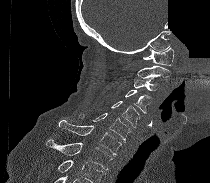
Computed tomography of the spine · sagittal view · 210 mm image width · Bone window (WL 400, WW 1800) · 210x183 px · part of the scan has been removed (filled with constant black)
No box is given to a vertebra that the bottom edge of the scan cuts off.
<vertebrae><v name="C1" x1="143" y1="47" x2="174" y2="65"/><v name="C2" x1="137" y1="65" x2="170" y2="78"/><v name="C3" x1="133" y1="77" x2="159" y2="90"/><v name="C4" x1="125" y1="90" x2="153" y2="113"/><v name="C5" x1="111" y1="101" x2="139" y2="127"/><v name="C6" x1="79" y1="113" x2="130" y2="143"/><v name="C7" x1="56" y1="120" x2="121" y2="156"/><v name="T1" x1="46" y1="139" x2="113" y2="170"/></vertebrae>